Spine CT; sagittal plane, index 298
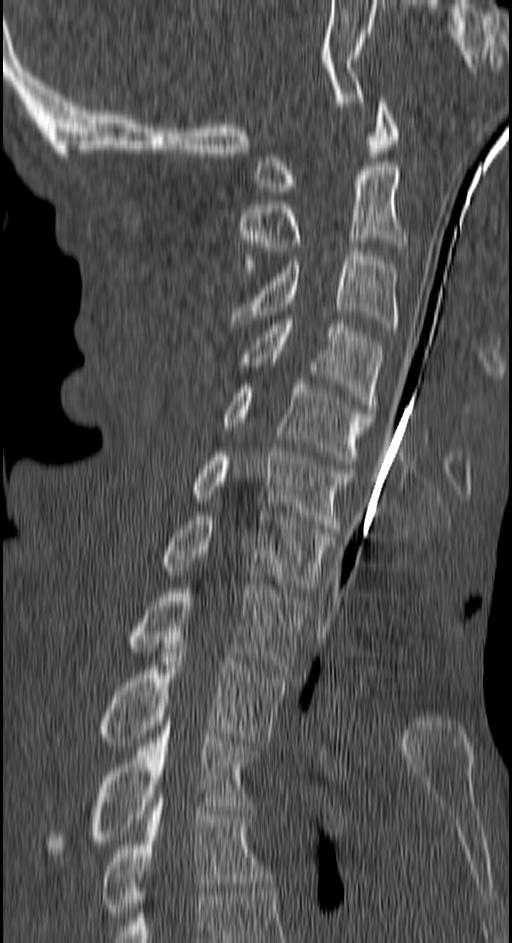
<vertebrae><v name="C1" x1="253" y1="98" x2="396" y2="195"/><v name="C2" x1="240" y1="166" x2="406" y2="268"/><v name="C3" x1="232" y1="252" x2="400" y2="328"/><v name="C4" x1="237" y1="316" x2="383" y2="413"/><v name="C5" x1="223" y1="384" x2="374" y2="468"/><v name="C6" x1="189" y1="448" x2="355" y2="532"/><v name="C7" x1="162" y1="512" x2="335" y2="592"/><v name="T1" x1="124" y1="585" x2="305" y2="669"/><v name="T2" x1="59" y1="644" x2="285" y2="746"/><v name="T3" x1="46" y1="721" x2="249" y2="861"/><v name="T4" x1="100" y1="802" x2="270" y2="921"/></vertebrae>